CT, spine · sagittal plane, index 262 · bone-window reconstruction
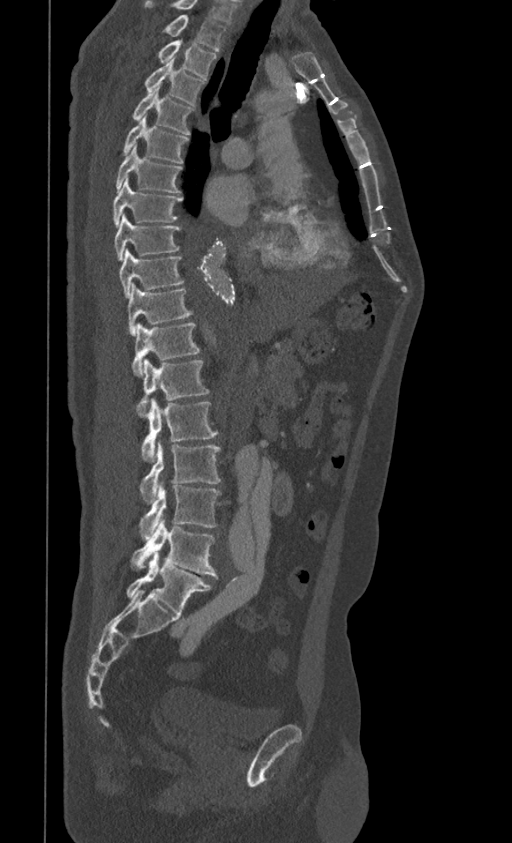
Bounding boxes as [x1, y1, x2, y2] in pixel coordinates.
In this scan, the topmost labeled vertebra is T1 and the lowest is L5.
Vertebra bounding boxes:
- T1: [163, 14, 226, 50]
- T2: [156, 40, 216, 78]
- T3: [145, 59, 205, 105]
- T4: [132, 88, 194, 135]
- T5: [123, 117, 189, 163]
- T6: [115, 146, 181, 193]
- T7: [113, 178, 182, 227]
- T8: [114, 215, 180, 260]
- T9: [119, 249, 184, 298]
- T10: [127, 284, 193, 335]
- T11: [132, 322, 199, 377]
- T12: [136, 359, 209, 416]
- L1: [141, 400, 218, 462]
- L2: [140, 441, 221, 504]
- L3: [140, 482, 221, 539]
- L4: [131, 519, 217, 578]
- L5: [127, 552, 212, 613]